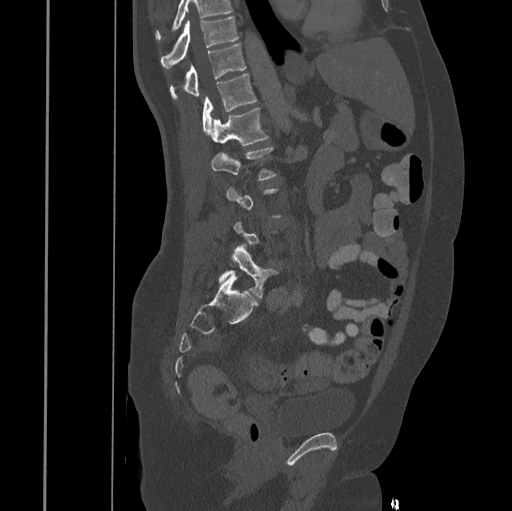

CT, spine · sagittal view
Coordinates as <box>x1,y1,x2,y2</box>. Not every vertebra on this slice has a box: a vertebra is boxed only from the first to the last slice where its cross-section is at least a third of its largest, and this slice is outside that range for at least one of them. A vertebra cut off by the top edge of the scan is not labeled and has no box. Vertebrae labeled: L5 at <box>219,246,276,298</box>, L2 at <box>210,146,276,179</box>, L1 at <box>210,108,268,145</box>, T12 at <box>202,74,257,135</box>, T11 at <box>170,43,246,98</box>, T10 at <box>161,16,238,67</box>.